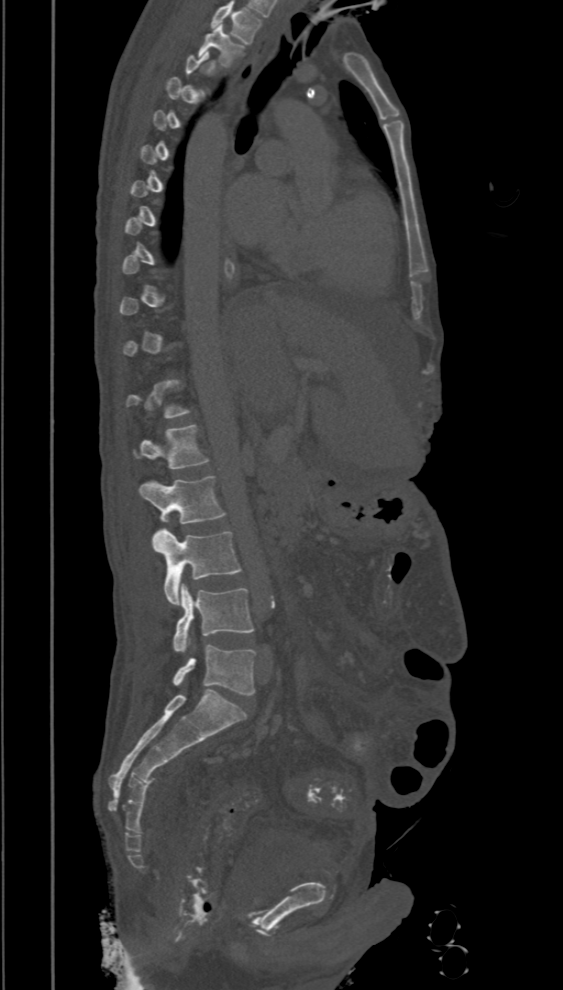

Spine computed tomography; sagittal view; 563x990 px
Coordinates as <box>x1,y1,x2,y2</box>.
Each vertebra is boxed only on the slices from the first to the last where its cross-section reaches a third of its largest, so a slice outside that range leaves it unboxed.
The highest labeled vertebra in this scan is T2; the lowest is L5.
Vertebra bounding boxes:
- T2: <box>198,24,245,65</box>
- L1: <box>133,425,209,468</box>
- L2: <box>139,476,225,524</box>
- L3: <box>153,527,240,605</box>
- L4: <box>173,583,253,652</box>
- L5: <box>173,645,256,695</box>